Spine CT. sagittal plane, index 209. the image is 336 mm wide. 512x980 px
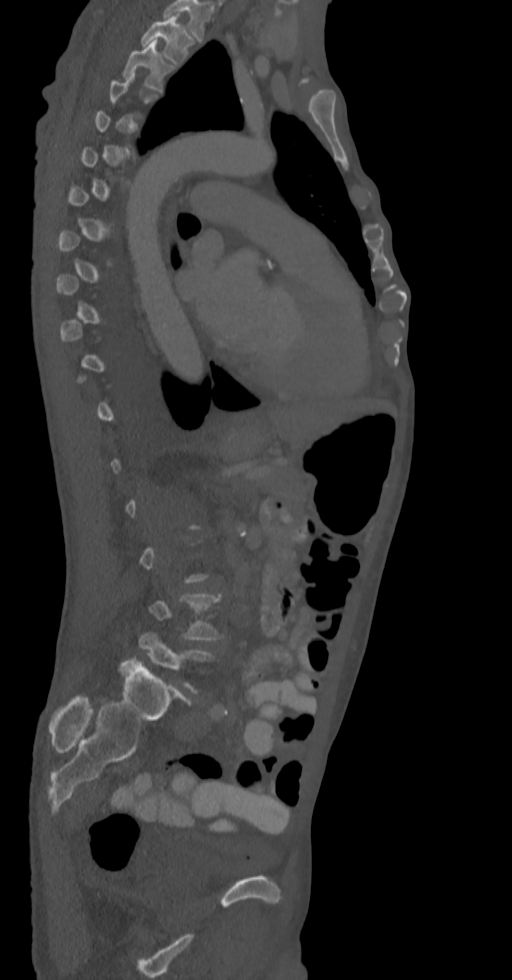 Bounding boxes as [x1, y1, x2, y2] in pixel coordinates. Not every vertebra on this slice has a box: a vertebra is boxed only from the first to the last slice where its cross-section is at least a third of its largest, and this slice is outside that range for at least one of them. The labeled vertebrae in this slice are: T2 at [141, 14, 192, 65], T3 at [122, 41, 163, 92], L4 at [149, 594, 224, 639], L5 at [138, 632, 214, 692].